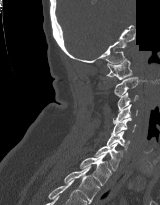 Computed tomography of the spine. 160 mm across the image. sagittal reformat. Bone window (WL 400, WW 1800). 160x205 px. a region of this slice is masked with a uniform fill

Coordinates as <box>x1,y1,x2,y2</box>. The labeled vertebrae in this slice are: T2 at <box>64,166,100,203</box>, T1 at <box>79,153,111,185</box>, C7 at <box>94,143,122,171</box>, C6 at <box>107,131,129,152</box>, C5 at <box>111,118,136,135</box>, C4 at <box>113,104,138,123</box>, C3 at <box>117,92,138,112</box>, C2 at <box>113,77,139,97</box>, C1 at <box>106,59,132,79</box>.